CT, spine · sagittal view
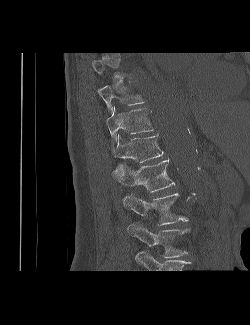
Boxes: x1:y1:x2:y2 in pixels. Each vertebra is boxed only on the slices from the first to the last where its cross-section reaches a third of its largest, so a slice outside that range leaves it unboxed. Labels in this scan begin with T9 at the top and end with L3 at the bottom. The labeled vertebrae in this slice are: L3 at 127:222:189:257, L2 at 123:193:188:225, L1 at 113:159:175:192, T12 at 112:134:163:170, T11 at 106:107:153:143, T10 at 98:86:144:113.